Spine CT — sagittal view — W/L 1800/400 HU — 269x269 px
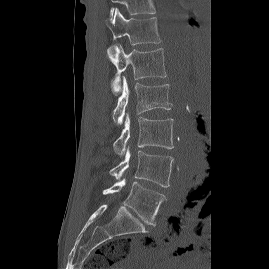
Box edges are left/top/right/bottom in pixels. 6 vertebrae labeled — L5 at left=102, top=178, right=166, bottom=225; L4 at left=109, top=146, right=173, bottom=187; L3 at left=113, top=113, right=173, bottom=159; L2 at left=112, top=76, right=172, bottom=124; L1 at left=107, top=44, right=166, bottom=95; T12 at left=107, top=8, right=161, bottom=57.